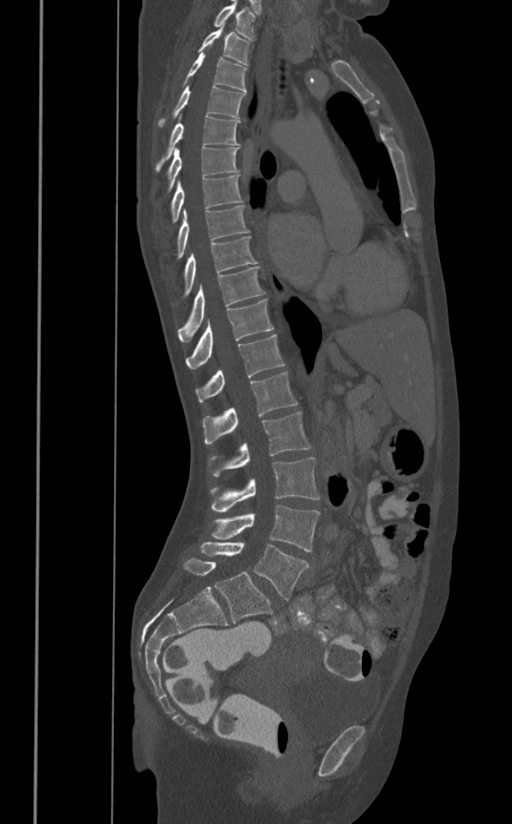

CT; sagittal view; 512x824 px
Box edges are left/top/right/bottom in pixels.
| vertebra | x1 | y1 | x2 | y2 |
|---|---|---|---|---|
| L5 | 200 | 542 | 309 | 599 |
| L4 | 211 | 504 | 320 | 552 |
| L3 | 210 | 457 | 320 | 512 |
| L2 | 212 | 411 | 310 | 476 |
| L1 | 203 | 372 | 297 | 443 |
| T12 | 196 | 334 | 284 | 402 |
| T11 | 186 | 298 | 274 | 368 |
| T10 | 177 | 266 | 265 | 342 |
| T9 | 181 | 236 | 258 | 297 |
| T8 | 174 | 204 | 250 | 262 |
| T7 | 169 | 174 | 242 | 224 |
| T6 | 167 | 147 | 240 | 191 |
| T5 | 154 | 114 | 239 | 172 |
| T4 | 157 | 85 | 245 | 126 |
| T3 | 181 | 53 | 248 | 92 |
| T2 | 198 | 24 | 250 | 65 |
| T1 | 213 | 1 | 255 | 40 |